Spine computed tomography. sagittal reformat. Bone window (WL 400, WW 1800)
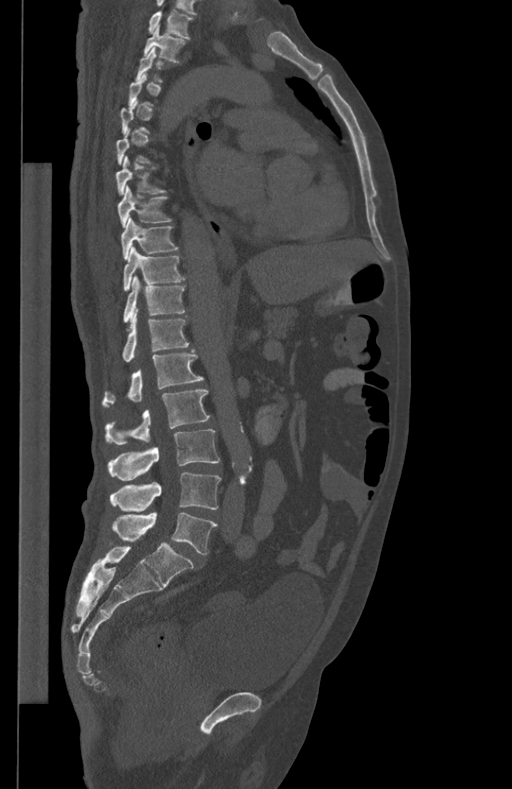

Bounding boxes as [x1, y1, x2, y2] in pixel coordinates.
Each vertebra is boxed only on the slices from the first to the last where its cross-section reaches a third of its largest, so a slice outside that range leaves it unboxed.
L5: [112, 513, 217, 554]
L4: [110, 472, 221, 511]
L3: [107, 429, 220, 480]
L2: [105, 389, 209, 445]
L1: [101, 349, 203, 406]
T12: [121, 309, 189, 362]
T11: [123, 276, 185, 323]
T10: [124, 246, 185, 291]
T9: [121, 217, 178, 259]
T8: [118, 186, 172, 227]
T7: [116, 155, 166, 194]
T2: [144, 24, 185, 62]
T1: [147, 10, 194, 39]